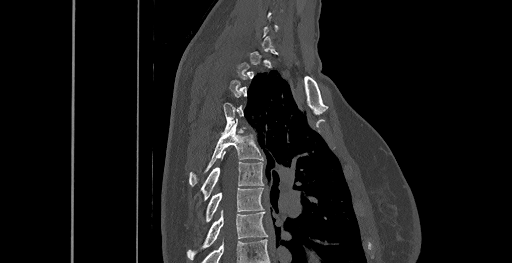 CT · sagittal reformat · 512x263 px. Coordinates as <box>x1,y1,x2,y2</box>. A vertebra gets a box only on the slices from the first to the last where its cross-section is at least a third of its largest; on a slice outside that range it gets none. 4 vertebrae labeled — T5 at <box>189,125,263,185</box>; T6 at <box>201,162,263,199</box>; T7 at <box>206,187,262,221</box>; T8 at <box>188,209,268,260</box>.